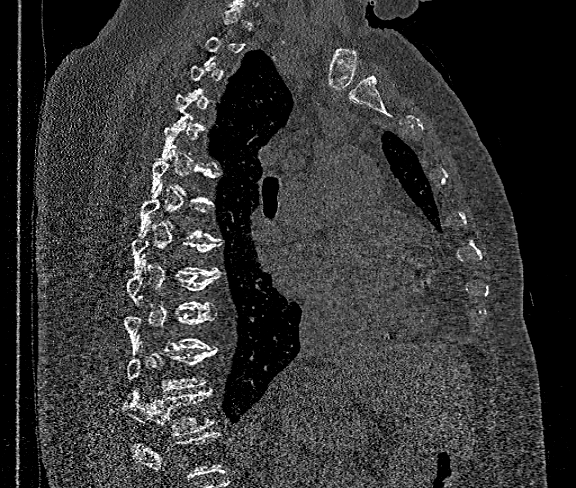

Spine CT; sagittal view; bone-window reconstruction
Bounding boxes as [x1, y1, x2, y2] in pixel coordinates.
A vertebra gets a box only on the slices from the first to the last where its cross-section is at least a third of its largest; on a slice outside that range it gets none.
A vertebra cut off by the bottom edge of the scan is not labeled and has no box.
T12: [123, 388, 216, 435]
T11: [126, 348, 216, 391]
T10: [123, 308, 215, 351]
T9: [126, 261, 219, 311]